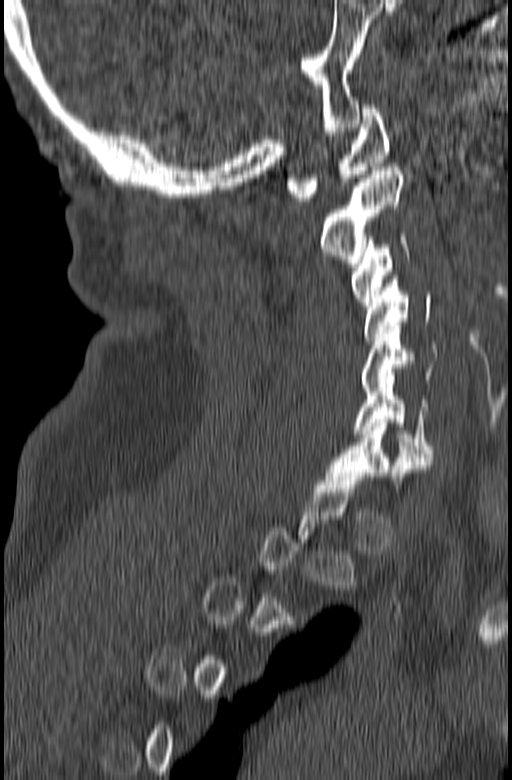 CT — sagittal view — bone window — 512x780 px. Coordinates as <box>x1,y1,x2,y2</box>. A vertebra gets a box only on the slices from the first to the last where its cross-section is at least a third of its largest; on a slice outside that range it gets none. The labeled vertebrae in this slice are: C1 at <box>286,105,390,201</box>, C2 at <box>321,167,403,263</box>, C3 at <box>351,233,409,305</box>, C4 at <box>364,275,431,340</box>, C5 at <box>361,322,437,391</box>, C6 at <box>354,376,434,461</box>, C7 at <box>326,419,432,488</box>.